CT spine · 367 mm across the image · sagittal plane, index 226 · W/L 1800/400 HU · 512x732 px · scan covers 9 annotated vertebrae
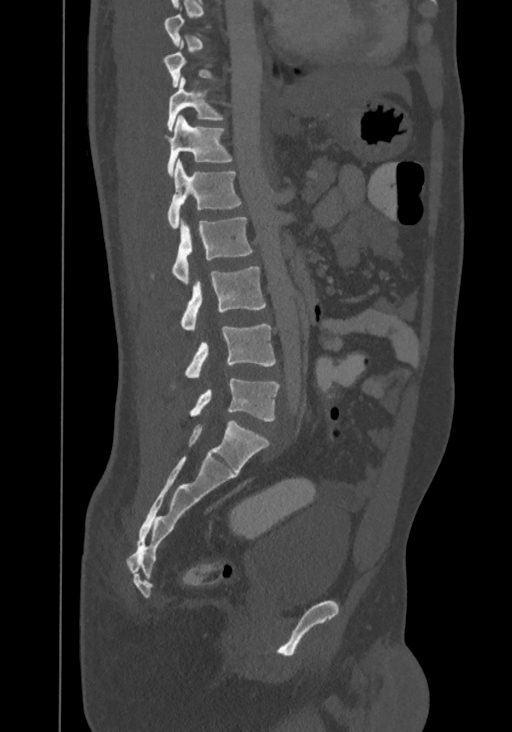
Box values are [left, top, right, bottom] in pixels.
A vertebra is boxed only from the first to the last slice where its cross-section is at least a third of its largest; slices outside that range leave it without a box.
The highest labeled vertebra in this scan is T8; the lowest is L4.
{"vertebrae":{"T10":[167,77,223,131],"T11":[167,116,232,176],"T12":[167,161,242,229],"L1":[152,217,253,283],"L2":[181,266,265,329],"L3":[171,324,275,387],"L4":[190,378,279,421]}}